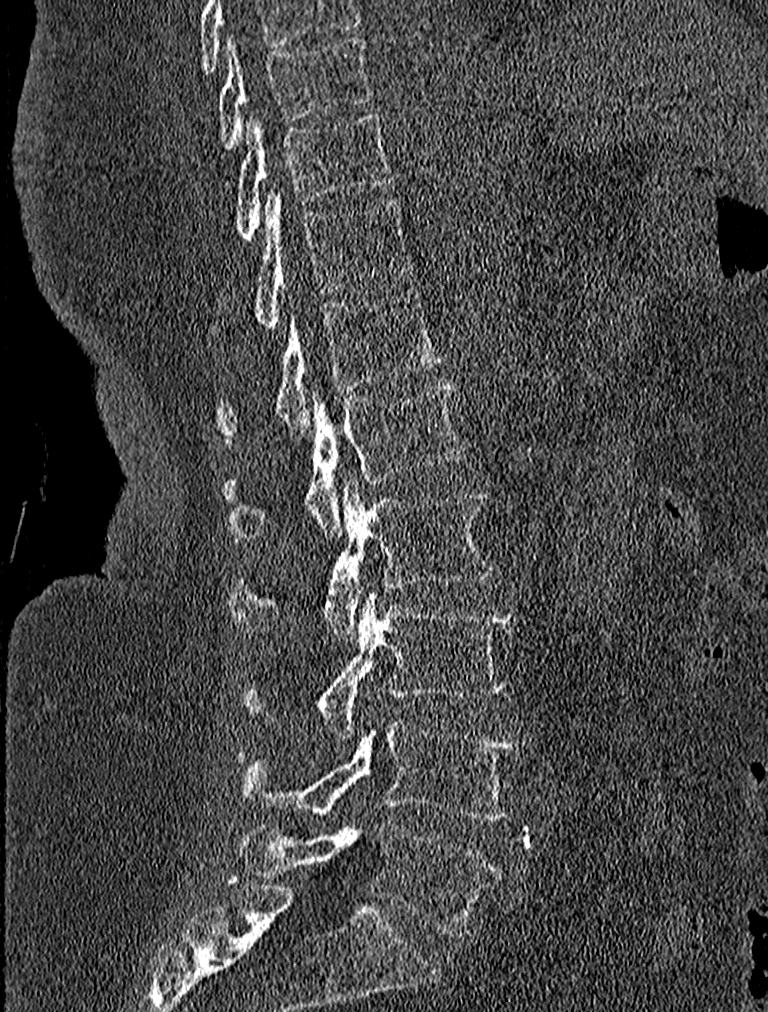

CT, spine; the image is 227 mm wide; sagittal view
Coordinates as <box>x1,y1,x2,y2</box>.
Labels in this scan begin with T9 at the top and end with L5 at the bottom.
Vertebra bounding boxes:
- L5: <box>236,821,502,935</box>
- L4: <box>239,722,522,820</box>
- L3: <box>242,591,519,739</box>
- L2: <box>229,477,492,640</box>
- L1: <box>224,382,468,543</box>
- T12: <box>219,288,444,442</box>
- T11: <box>253,190,411,328</box>
- T10: <box>236,111,394,240</box>
- T9: <box>215,38,370,148</box>